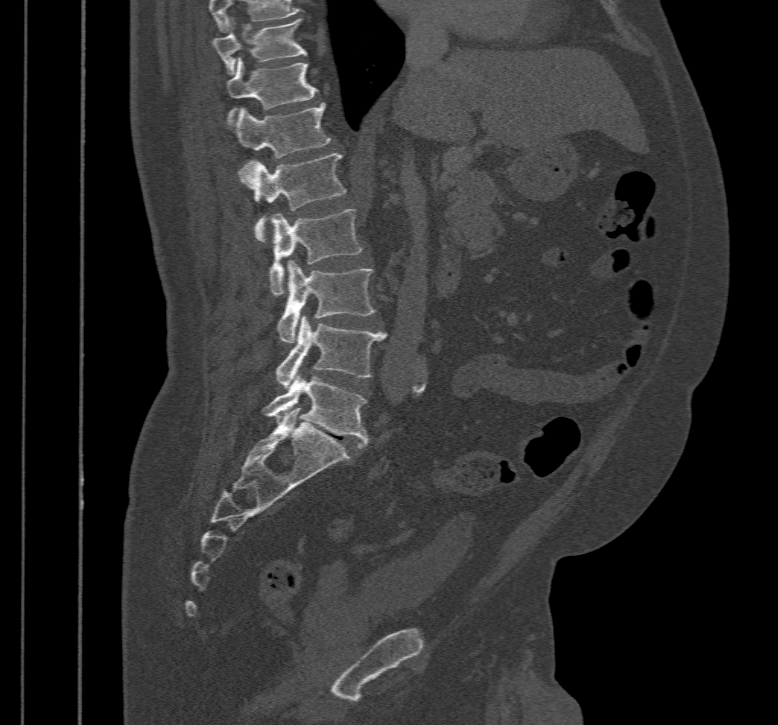

CT spine; 467 mm across the image; sagittal view

Boxes are given in columns x1, y1, x2, y2, the pixel coordinates of their top-left and bottom-right corners.
In this scan, the topmost labeled vertebra is T10 and the lowest is L5.
| vertebra | x1 | y1 | x2 | y2 |
|---|---|---|---|---|
| L5 | 260 | 372 | 368 | 448 |
| L4 | 274 | 314 | 388 | 389 |
| L3 | 277 | 260 | 374 | 343 |
| L2 | 255 | 209 | 362 | 294 |
| L1 | 239 | 153 | 346 | 243 |
| T12 | 227 | 102 | 330 | 158 |
| T11 | 225 | 57 | 317 | 121 |
| T10 | 210 | 19 | 306 | 73 |